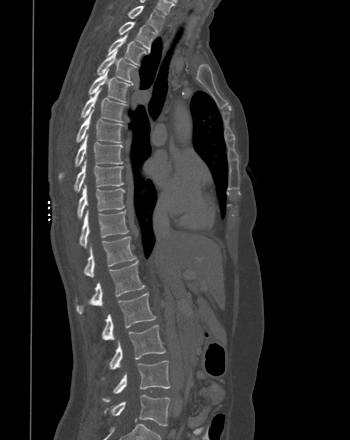

CT spine; sagittal view; W/L 1800/400 HU; 350x440 px

In the table, x1 and y1 are a box's top-left corner and x2 and y2 its bottom-right corner, in pixels.
| vertebra | x1 | y1 | x2 | y2 |
|---|---|---|---|---|
| T1 | 128 | 6 | 164 | 31 |
| T2 | 118 | 21 | 155 | 51 |
| T3 | 107 | 34 | 145 | 64 |
| T4 | 97 | 50 | 135 | 82 |
| T5 | 88 | 69 | 129 | 101 |
| T6 | 81 | 89 | 125 | 121 |
| T7 | 76 | 109 | 123 | 142 |
| T8 | 59 | 135 | 122 | 180 |
| T9 | 74 | 160 | 123 | 192 |
| T10 | 77 | 184 | 124 | 218 |
| T11 | 79 | 209 | 128 | 247 |
| T12 | 84 | 236 | 136 | 277 |
| L1 | 76 | 261 | 145 | 314 |
| L2 | 102 | 293 | 155 | 339 |
| L3 | 102 | 325 | 165 | 378 |
| L4 | 102 | 360 | 170 | 402 |
| L5 | 104 | 395 | 170 | 426 |